Spine CT · sagittal plane, index 213 · bone-window reconstruction · 350x292 px · 5 vertebrae labeled in this scan
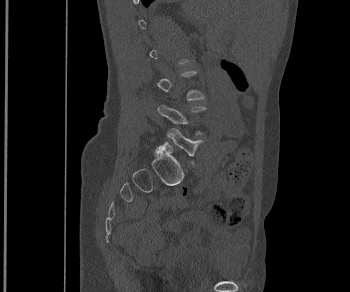
A vertebra gets a box only on the slices from the first to the last where its cross-section is at least a third of its largest; on a slice outside that range it gets none.
<vertebrae><v name="L4" x1="157" y1="104" x2="206" y2="134"/><v name="L5" x1="155" y1="128" x2="203" y2="164"/></vertebrae>